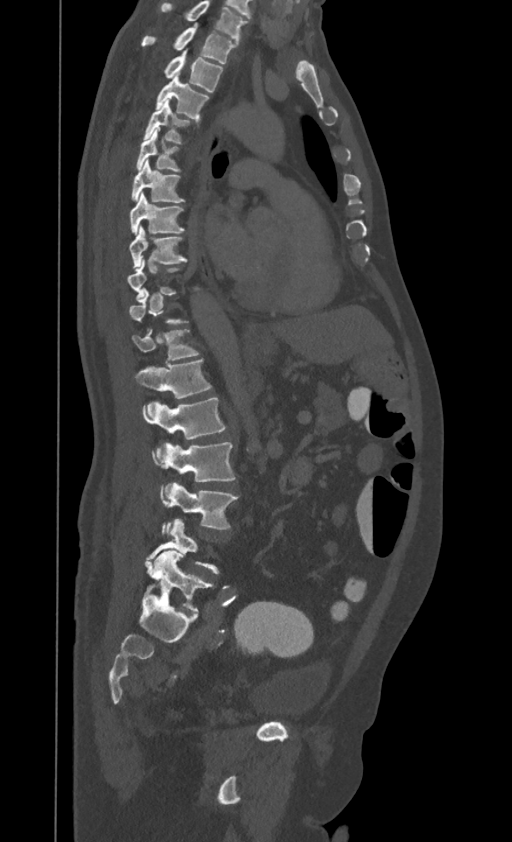
Computed tomography of the spine; image width 395 mm; sagittal reformat

Each vertebra is boxed only on the slices from the first to the last where its cross-section reaches a third of its largest, so a slice outside that range leaves it unboxed.
Labels in this scan begin with T1 at the top and end with L4 at the bottom.
<vertebrae><v name="T1" x1="141" y1="23" x2="236" y2="63"/><v name="T2" x1="164" y1="50" x2="222" y2="92"/><v name="T3" x1="155" y1="75" x2="209" y2="120"/><v name="T4" x1="144" y1="99" x2="189" y2="142"/><v name="T5" x1="136" y1="128" x2="179" y2="172"/><v name="T6" x1="132" y1="160" x2="184" y2="202"/><v name="T7" x1="129" y1="191" x2="184" y2="233"/><v name="T8" x1="129" y1="225" x2="187" y2="268"/><v name="T11" x1="132" y1="329" x2="198" y2="361"/><v name="T12" x1="136" y1="359" x2="211" y2="408"/><v name="L1" x1="142" y1="398" x2="224" y2="453"/><v name="L2" x1="153" y1="442" x2="235" y2="481"/><v name="L3" x1="161" y1="483" x2="237" y2="529"/></vertebrae>